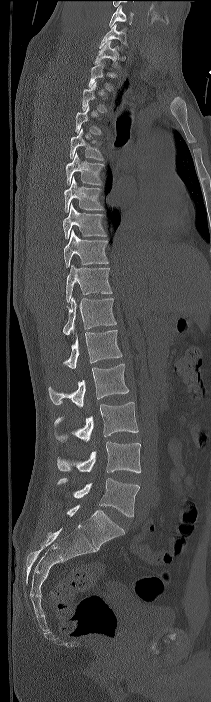 Computed tomography of the spine. sagittal view
Each vertebra maps to its box as [x1, y1, x2, y2], the pixel coordinates of its top-left and bottom-right corners.
Not every vertebra on this slice has a box: a vertebra is boxed only from the first to the last slice where its cross-section is at least a third of its largest, and this slice is outside that range for at least one of them.
In this scan, the topmost labeled vertebra is C7 and the lowest is L4.
{"vertebrae":{"L4":[57,478,139,517],"L3":[57,441,141,473],"L2":[54,402,138,442],"L1":[48,363,129,407],"T12":[63,330,122,368],"T11":[62,297,116,335],"T10":[66,265,112,302],"T9":[64,230,108,267],"T8":[63,204,106,238],"T7":[64,177,103,213],"T6":[66,152,104,185],"T5":[70,128,104,160],"T1":[93,41,120,69],"C7":[99,24,127,48]}}